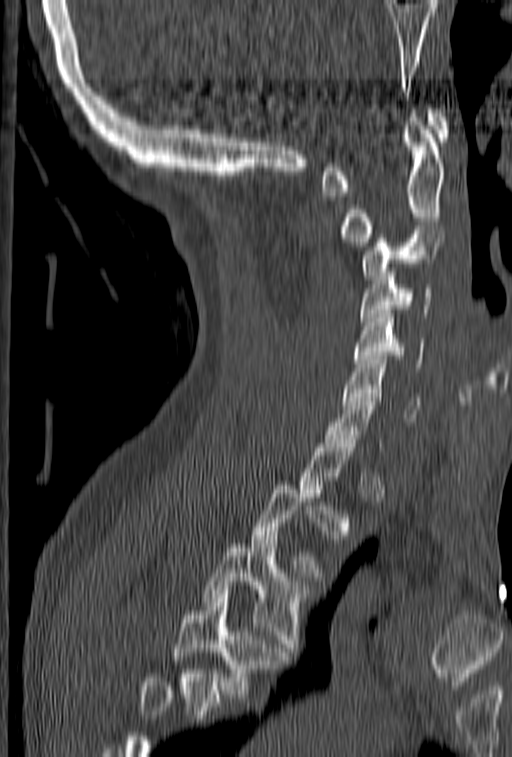

CT, spine. sagittal view. bone window

Boxes: x1 y1 x2 y2 (pixel coords, space-separated).
A vertebra gets a box only on the slices from the first to the last where its cross-section is at least a third of its largest; on a slice outside that range it gets none.
Vertebrae that run past the bottom of the scan are left unlabeled.
Vertebra bounding boxes:
- C1: 320 109 450 196
- C2: 341 109 445 246
- C3: 361 230 446 279
- C4: 359 264 432 325
- C5: 353 310 425 371
- C6: 343 356 421 421
- C7: 322 389 383 451
- T3: 203 540 311 656
- T4: 175 590 289 698